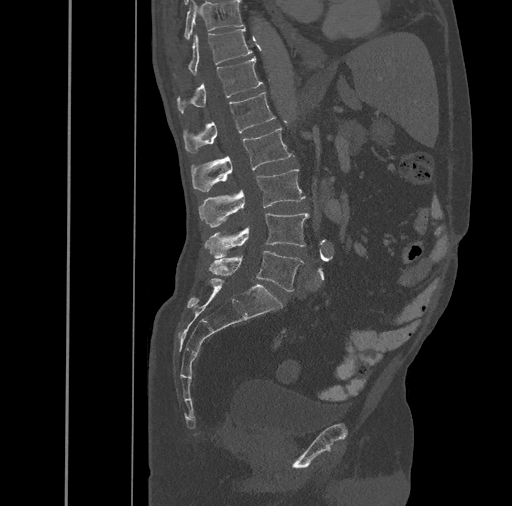 CT. sagittal view
Boxes are (x1, y1, x2, y2) in pixels. Vertebrae labeled: L5 at (209, 251, 303, 291), L4 at (205, 213, 308, 257), L3 at (198, 169, 305, 226), L2 at (191, 127, 293, 192), L1 at (183, 92, 276, 153), T12 at (177, 57, 263, 113), T11 at (173, 28, 252, 77), T10 at (183, 1, 243, 40).